CT, spine — sagittal view — Bone window (WL 400, WW 1800) — 11 vertebrae labeled in this scan
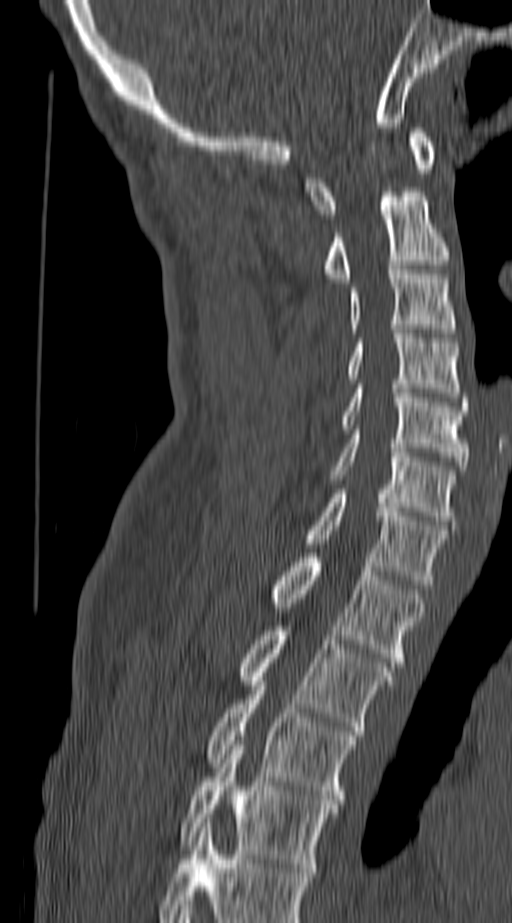

Boxes: x1 y1 x2 y2 (pixel coords, space-separated).
The highest labeled vertebra in this scan is C1; the lowest is T4.
C1: 305 128 436 218
C2: 323 192 450 282
C3: 349 270 454 333
C4: 349 329 461 397
C5: 341 384 468 470
C6: 330 434 454 525
C7: 305 489 447 584
T1: 272 553 425 666
T2: 239 626 395 730
T3: 206 681 355 804
T4: 181 745 337 872